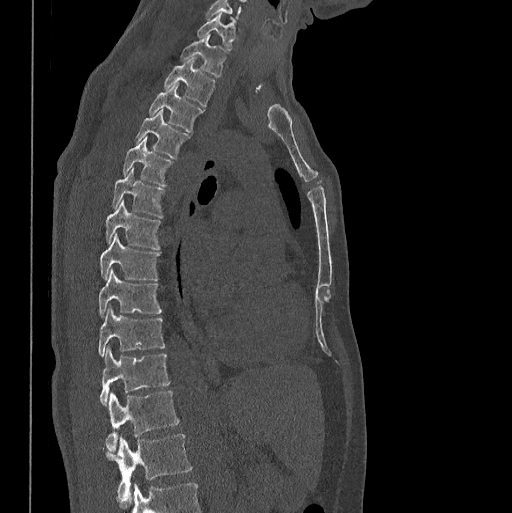 CT; sagittal reformat; bone-window reconstruction

Each box is [x1, y1, x2, y2] in pixels: top-left corner, then bottom-right corner.
{"vertebrae":{"C7":[197,12,237,50],"T1":[180,36,225,77],"T2":[165,58,215,107],"T3":[149,83,203,131],"T4":[136,110,189,158],"T5":[123,135,171,187],"T6":[113,167,164,218],"T7":[105,200,160,249],"T8":[100,234,160,280],"T9":[99,269,161,316],"T10":[99,306,165,357],"T11":[100,348,170,405],"T12":[105,390,179,452],"L1":[105,433,192,505]}}